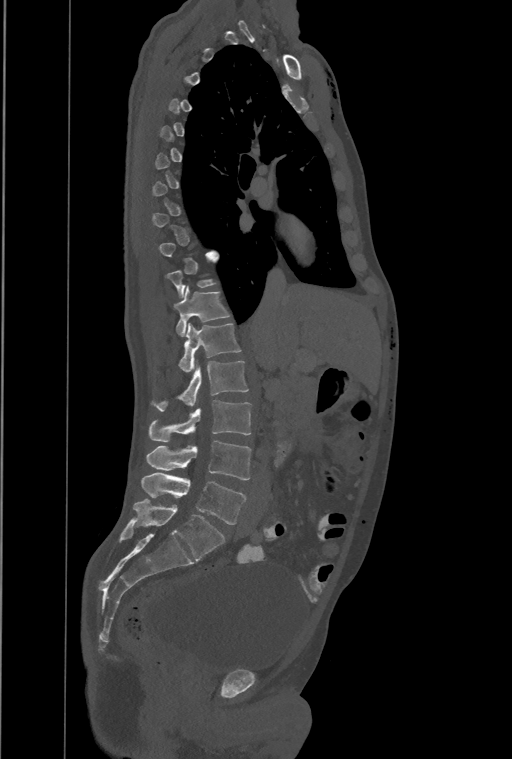

Spine CT — sagittal view
Boxes are (x1, y1, x2, y2) in pixels. Not every vertebra on this slice has a box: a vertebra is boxed only from the first to the last slice where its cross-section is at least a third of its largest, and this slice is outside that range for at least one of them. Labels in this scan begin with T1 at the top and end with L4 at the bottom. In these labels the spine has a T13, a thirteenth thoracic vertebra, between T12 and L1. Vertebrae labeled: T12 at (174, 286, 229, 336), T13 at (178, 324, 241, 373), L1 at (154, 361, 248, 410), L2 at (150, 400, 251, 441), L3 at (146, 440, 251, 479), L4 at (142, 472, 245, 524).